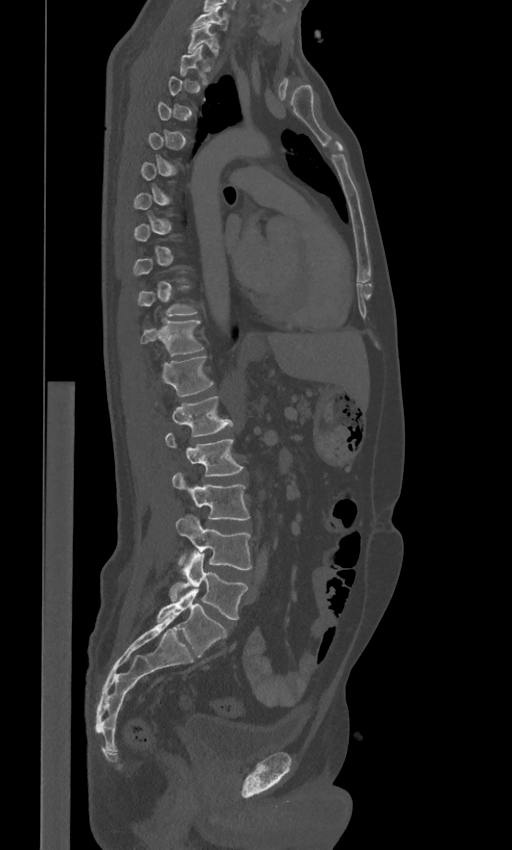
Computed tomography of the spine; sagittal view; bone window. Columns x1, y1, x2, y2 give each box's top-left and bottom-right pixels.
A vertebra gets a box only on the slices from the first to the last where its cross-section is at least a third of its largest; on a slice outside that range it gets none.
These labels give the spine a sixth lumbar vertebra, L6, below L5.
| vertebra | x1 | y1 | x2 | y2 |
|---|---|---|---|---|
| C7 | 192 | 8 | 228 | 29 |
| T1 | 188 | 24 | 219 | 55 |
| T11 | 141 | 319 | 203 | 356 |
| T12 | 162 | 357 | 213 | 395 |
| L1 | 172 | 395 | 232 | 436 |
| L2 | 165 | 433 | 243 | 475 |
| L3 | 172 | 473 | 250 | 519 |
| L4 | 176 | 515 | 252 | 569 |
| L5 | 170 | 551 | 247 | 619 |
| L6 | 157 | 588 | 227 | 657 |